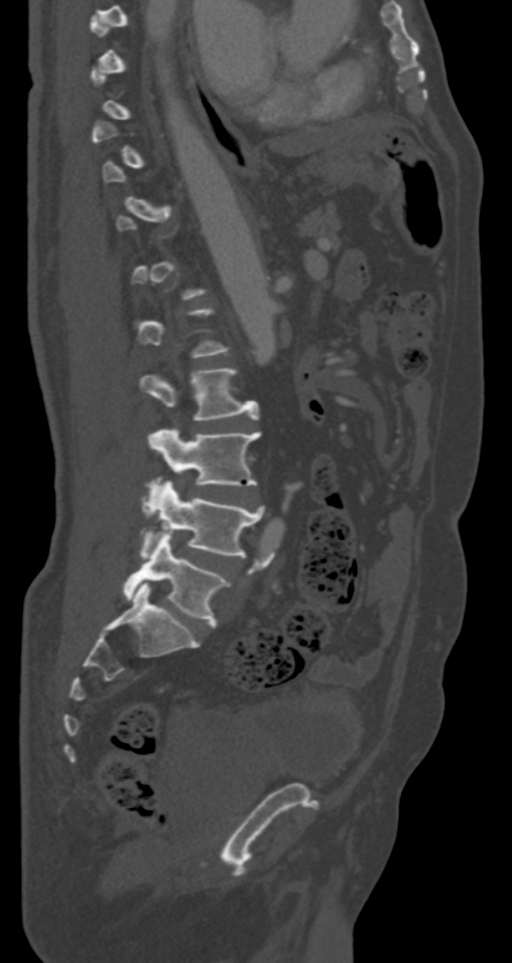
Spine computed tomography; sagittal view; 287 mm wide
Bounding boxes as [x1, y1, x2, y2] in pixel coordinates. Not every vertebra on this slice has a box: a vertebra is boxed only from the first to the last slice where its cross-section is at least a third of its largest, and this slice is outside that range for at least one of them. Vertebrae labeled: L2 at [141, 368, 259, 420], L3 at [148, 428, 261, 496], L4 at [141, 481, 264, 557], L5 at [123, 533, 227, 627].